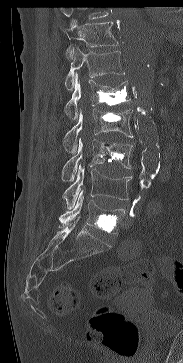
CT, spine; sagittal view; 183x363 px

Box edges are left/top/right/bottom in pixels. Vertebrae that run past the top of the scan are left unlabeled. 7 vertebrae labeled — T11 at left=61, top=21, right=118, bottom=58; T12 at left=65, top=47, right=125, bottom=91; L1 at left=64, top=73, right=130, bottom=119; L2 at left=63, top=109, right=133, bottom=153; L3 at left=61, top=138, right=132, bottom=181; L4 at left=62, top=164, right=132, bottom=209; L5 at left=59, top=190, right=125, bottom=233.